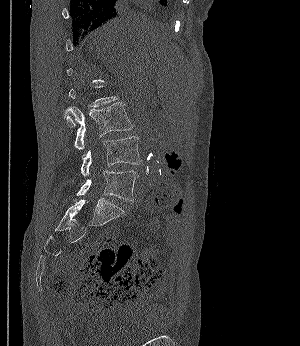
CT · sagittal view · image 300 mm wide · bone window. Boxes: x1 y1 x2 y2 (pixel coords, space-separated). A vertebra gets a box only on the slices from the first to the last where its cross-section is at least a third of its largest; on a slice outside that range it gets none. Vertebrae labeled: L3 at 64 102 132 149, L4 at 81 136 141 177, L5 at 76 169 138 200.